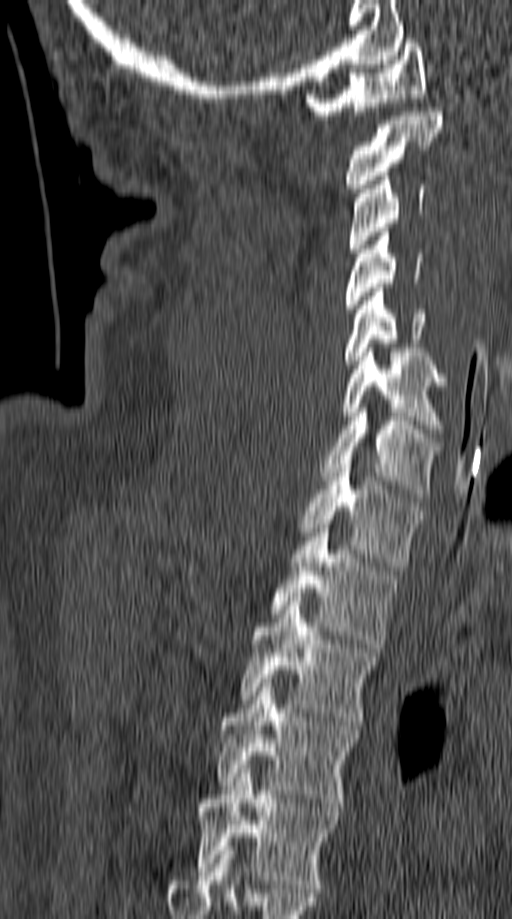 CT spine. sagittal view. 512x919 px
Each row gives a vertebra's box as x1, y1, x2, y2 in pixels: top-left corner, then bottom-right corner.
| vertebra | x1 | y1 | x2 | y2 |
|---|---|---|---|---|
| T5 | 193 | 769 | 339 | 888 |
| T4 | 218 | 683 | 358 | 807 |
| T3 | 241 | 597 | 378 | 725 |
| T2 | 272 | 524 | 399 | 648 |
| T1 | 298 | 460 | 419 | 570 |
| C7 | 322 | 408 | 440 | 497 |
| C6 | 341 | 348 | 447 | 433 |
| C5 | 345 | 288 | 426 | 368 |
| C4 | 345 | 228 | 423 | 313 |
| C3 | 348 | 172 | 426 | 252 |
| C2 | 345 | 107 | 443 | 192 |
| C1 | 306 | 39 | 426 | 119 |